CT spine; sagittal plane, index 56; W/L 1800/400 HU; image width 234 mm; 234x234 px
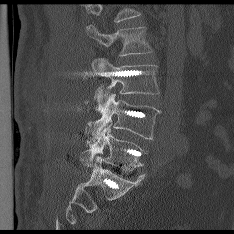
Vertebrae that run past the top of the scan are left unlabeled.
<vertebrae><v name="L2" x1="87" y1="25" x2="152" y2="56"/><v name="L3" x1="92" y1="58" x2="159" y2="105"/><v name="L4" x1="83" y1="94" x2="160" y2="143"/><v name="L5" x1="82" y1="123" x2="146" y2="167"/></vertebrae>